CT, spine. sagittal reformat
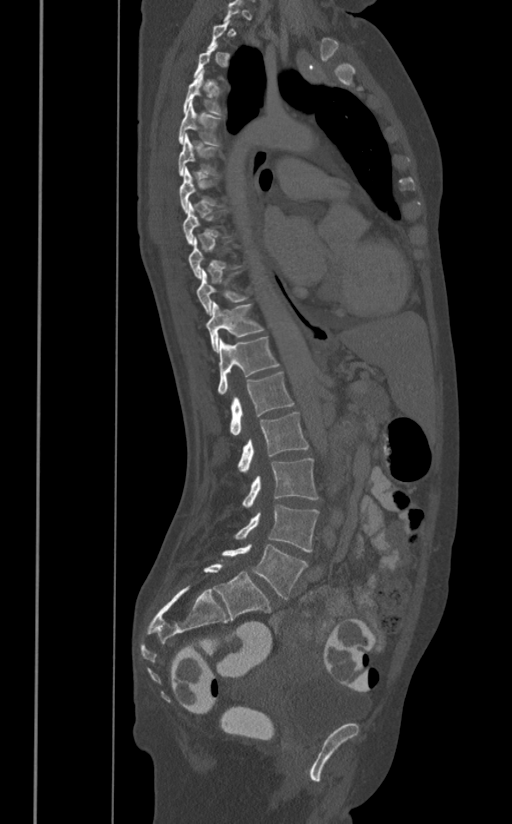
Boxes are given in columns x1, y1, x2, y2, the pixel coordinates of their top-left and bottom-right corners.
A vertebra gets a box only on the slices from the first to the last where its cross-section is at least a third of its largest; on a slice outside that range it gets none.
| vertebra | x1 | y1 | x2 | y2 |
|---|---|---|---|---|
| T4 | 183 | 70 | 222 | 114 |
| T5 | 178 | 99 | 221 | 146 |
| T6 | 178 | 133 | 218 | 176 |
| T7 | 179 | 167 | 221 | 213 |
| T8 | 183 | 203 | 228 | 244 |
| T10 | 196 | 269 | 247 | 315 |
| T11 | 205 | 302 | 263 | 353 |
| T12 | 217 | 337 | 279 | 395 |
| L1 | 230 | 372 | 293 | 435 |
| L2 | 238 | 411 | 308 | 472 |
| L3 | 242 | 458 | 318 | 507 |
| L4 | 234 | 504 | 318 | 552 |
| L5 | 222 | 543 | 308 | 599 |